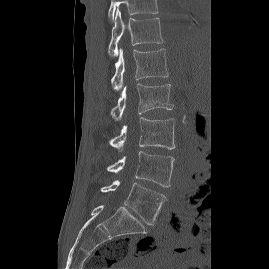 CT spine. sagittal view. Bone window (WL 400, WW 1800). 269x269 px
Coordinates as <box>x1,y1,x2,y2</box>.
Vertebra bounding boxes:
- T12: <box>108,9,163,56</box>
- L1: <box>111,48,168,90</box>
- L2: <box>110,83,172,120</box>
- L3: <box>109,117,174,151</box>
- L4: <box>106,151,174,187</box>
- L5: <box>100,180,167,225</box>